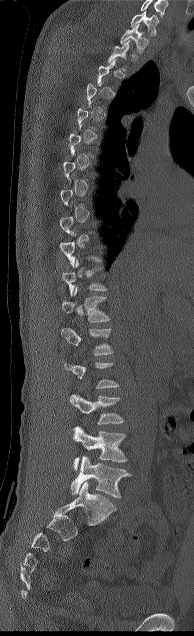 CT spine — sagittal view — bone-window reconstruction

Coordinates as <box>x1,y1,x2,y2</box>. A vertebra is boxed only from the first to the last slice where its cross-section is at least a third of its largest; slices outside that range leave it without a box. The highest labeled vertebra in this scan is C7; the lowest is L5. The labeled vertebrae in this slice are: C7 at <box>130,10,159,36</box>, T1 at <box>120,24,149,52</box>, T11 at <box>61,258,107,295</box>, T12 at <box>61,287,110,322</box>, L1 at <box>61,327,113,355</box>, L3 at <box>69,393,124,424</box>, L4 at <box>72,426,127,470</box>, L5 at <box>70,456,131,498</box>.